CT, spine. sagittal reformat. Bone window (WL 400, WW 1800). 487x633 px. image 487 mm wide
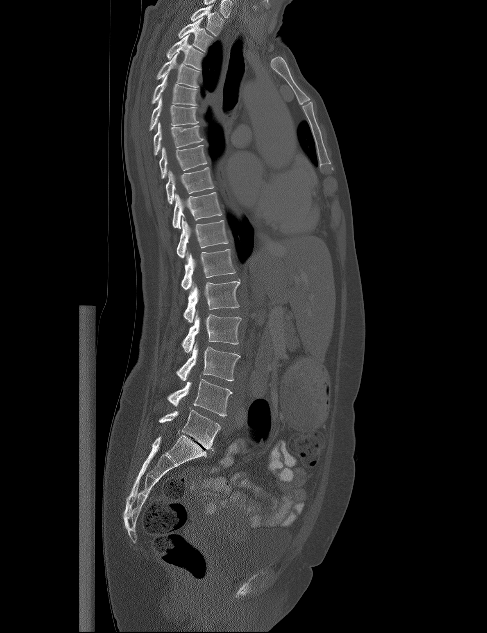 Each row gives a vertebra's box as x1, y1, x2, y2 in pixels: top-left corner, then bottom-right corner.
| vertebra | x1 | y1 | x2 | y2 |
|---|---|---|---|---|
| T1 | 190 | 5 | 224 | 36 |
| T2 | 178 | 18 | 213 | 51 |
| T3 | 166 | 35 | 203 | 69 |
| T4 | 156 | 52 | 199 | 87 |
| T5 | 151 | 75 | 197 | 105 |
| T6 | 149 | 97 | 198 | 130 |
| T7 | 153 | 122 | 203 | 155 |
| T8 | 159 | 145 | 207 | 178 |
| T9 | 166 | 167 | 214 | 204 |
| T10 | 172 | 192 | 222 | 228 |
| T11 | 176 | 216 | 228 | 258 |
| T12 | 181 | 249 | 235 | 289 |
| L1 | 183 | 279 | 241 | 322 |
| L2 | 181 | 311 | 241 | 353 |
| L3 | 176 | 341 | 240 | 381 |
| L4 | 167 | 379 | 232 | 416 |
| L5 | 158 | 410 | 220 | 451 |